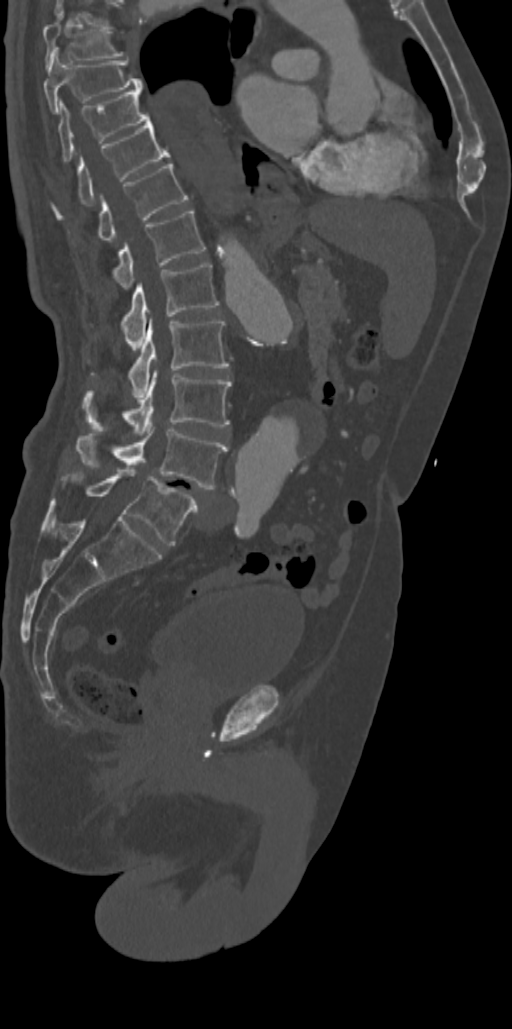

Spine computed tomography — sagittal view — bone-window reconstruction
<vertebrae><v name="T7" x1="43" y1="13" x2="123" y2="66"/><v name="T8" x1="43" y1="52" x2="142" y2="111"/><v name="T9" x1="58" y1="90" x2="149" y2="161"/><v name="T10" x1="51" y1="119" x2="170" y2="217"/><v name="T11" x1="97" y1="162" x2="187" y2="242"/><v name="T12" x1="112" y1="211" x2="205" y2="289"/><v name="L1" x1="121" y1="263" x2="219" y2="345"/><v name="L2" x1="129" y1="319" x2="229" y2="399"/><v name="L3" x1="84" y1="371" x2="231" y2="435"/><v name="L4" x1="76" y1="427" x2="228" y2="489"/><v name="L5" x1="63" y1="467" x2="198" y2="545"/></vertebrae>